Spine computed tomography · Sagittal slice 244/512 · 512x744 px
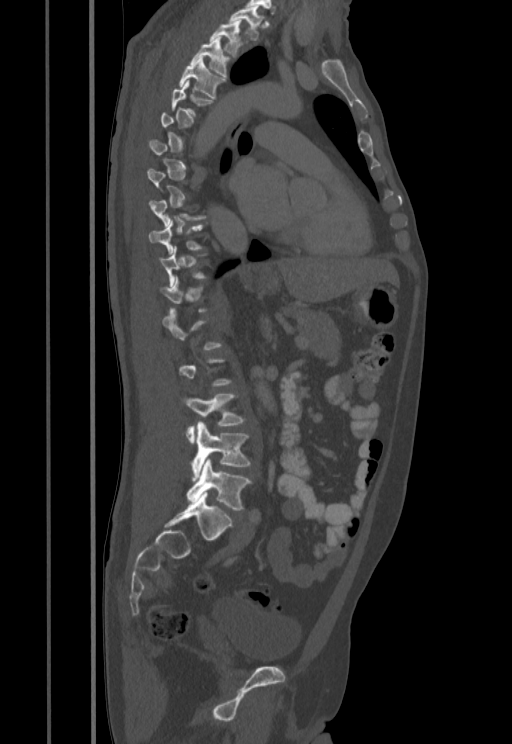
Bounding boxes as [x1, y1, x2, y2] in pixel coordinates. Each vertebra is boxed only on the slices from the first to the last where its cross-section reaches a third of its largest, so a slice outside that range leaves it unboxed. Vertebrae labeled: T1 at [228, 8, 263, 38], T2 at [209, 21, 241, 57], T3 at [190, 37, 230, 76], T4 at [179, 59, 225, 99], T5 at [171, 80, 213, 116], T10 at [148, 221, 204, 255], L3 at [181, 392, 245, 442], L4 at [191, 422, 251, 480], L5 at [187, 459, 251, 510].